Computed tomography of the spine. sagittal plane, index 265. the image is 374 mm wide. Bone window (WL 400, WW 1800)
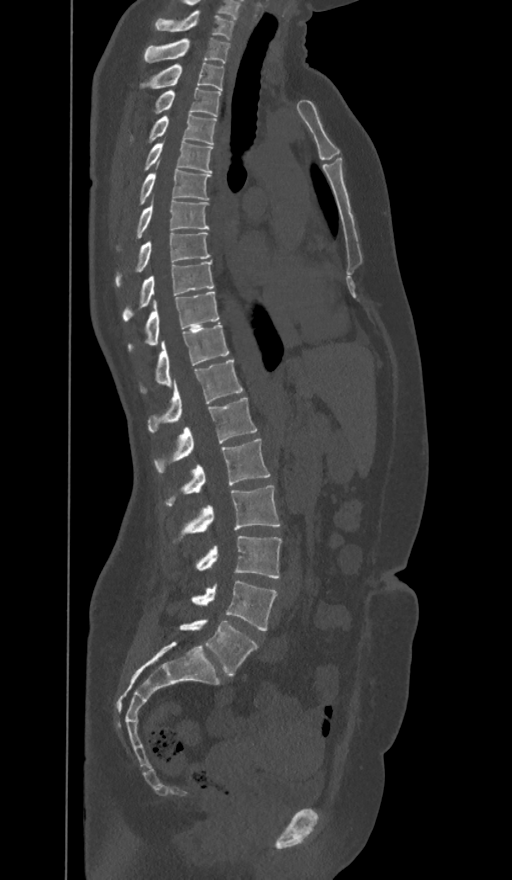

Boxes: x1:y1:x2:y2 in pixels. In these labels the spine has an L6, a sixth lumbar vertebra below L5. The labeled vertebrae in this slice are: L6 at 179:620:258:675, L5 at 191:580:277:630, L4 at 196:536:281:578, L3 at 183:485:279:532, L2 at 167:439:270:505, L1 at 155:398:256:472, T12 at 148:360:242:431, T11 at 141:324:229:392, T10 at 128:291:219:349, T9 at 123:261:214:321, T8 at 115:233:210:286, T7 at 137:193:208:238, T6 at 140:160:210:204, T5 at 143:140:212:171, T4 at 149:115:215:143, T3 at 156:87:221:116, T2 at 141:63:223:89, T1 at 144:38:229:63, C7 at 155:11:233:38.